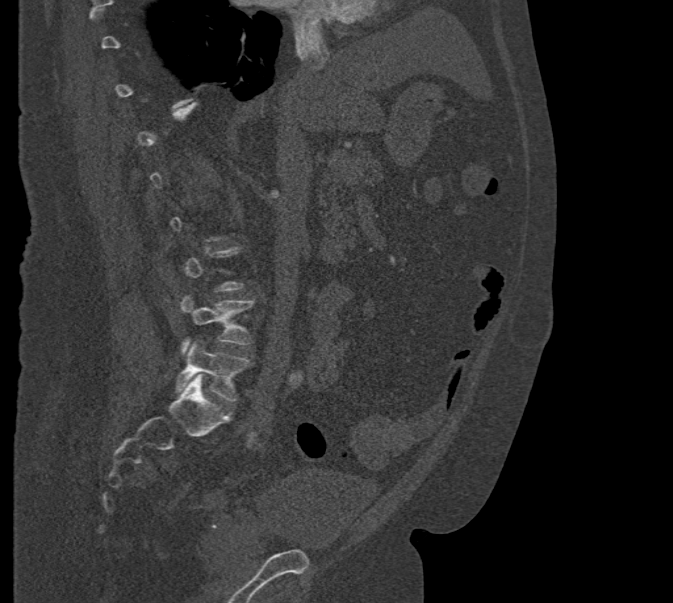
CT spine; sagittal view; W/L 1800/400 HU; 673x603 px
In the table, x1 and y1 are a box's top-left corner and x2 and y2 its bottom-right corner, in pixels.
Not every vertebra on this slice has a box: a vertebra is boxed only from the first to the last slice where its cross-section is at least a third of its largest, and this slice is outside that range for at least one of them.
| vertebra | x1 | y1 | x2 | y2 |
|---|---|---|---|---|
| L4 | 180 | 293 | 253 | 354 |
| L5 | 176 | 340 | 250 | 401 |